CT; the image spans 345 mm across; sagittal view; Bone window (WL 400, WW 1800)
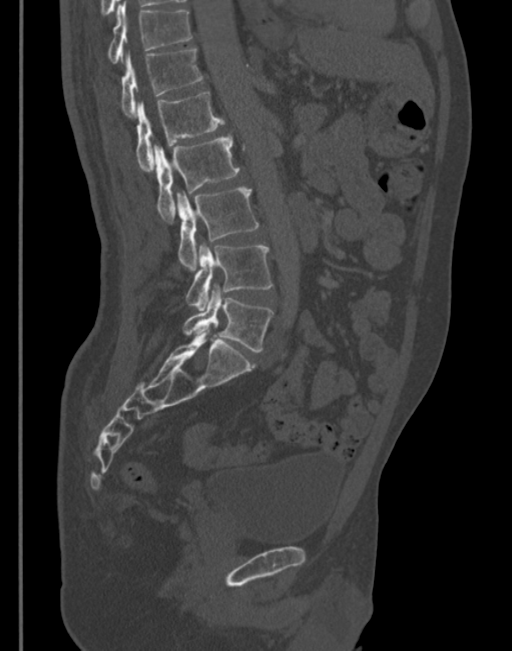 Boxes: x1 y1 x2 y2 (pixel coords, space-separated). Vertebrae labeled: T11 at 107 2 192 63, T12 at 120 49 202 117, L1 at 135 91 224 169, L2 at 153 135 239 220, L3 at 176 188 258 270, L4 at 185 245 272 310, L5 at 182 288 273 352.